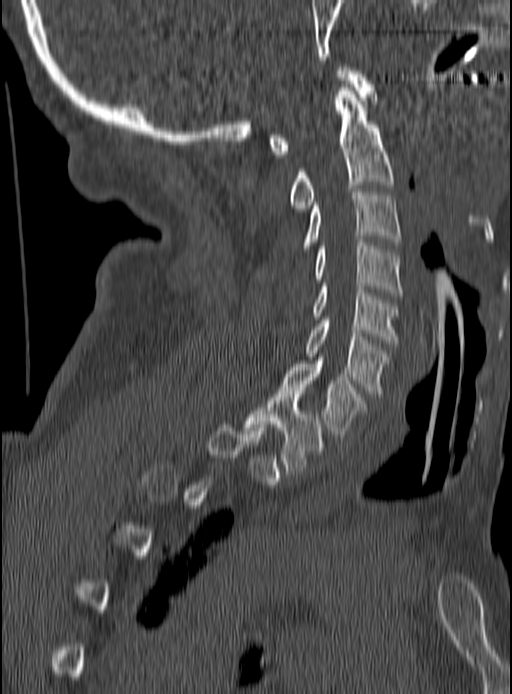

CT, spine — sagittal reformat — Bone window (WL 400, WW 1800)

Boxes: x1:y1:x2:y2 in pixels. Not every vertebra on this slice has a box: a vertebra is boxed only from the first to the last slice where its cross-section is at least a third of its largest, and this slice is outside that range for at least one of them. The labeled vertebrae in this slice are: C1 at 269:67:374:157, C2 at 289:84:393:211, C3 at 303:189:401:248, C4 at 313:239:401:295, C5 at 311:283:399:343, C6 at 305:317:388:396, C7 at 280:360:366:437, T1 at 243:391:323:474.